CT — sagittal reformat — bone window — 8 vertebrae labeled in this scan
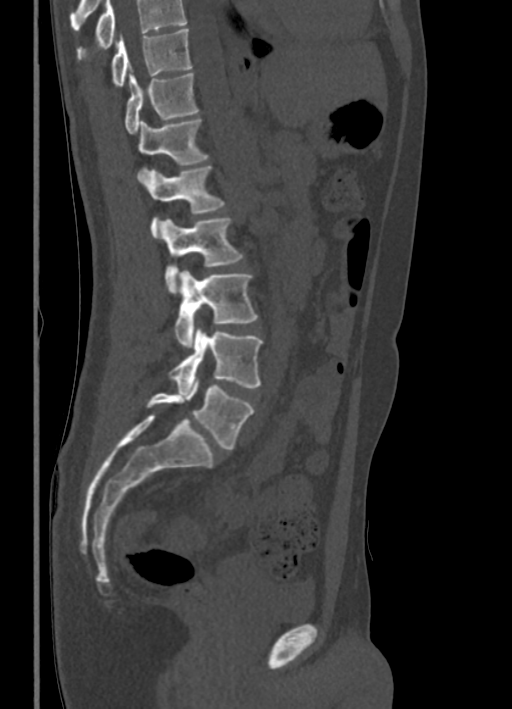 A vertebra cut off by the top edge of the scan is not labeled and has no box.
<vertebrae><v name="L5" x1="146" y1="381" x2="253" y2="449"/><v name="L4" x1="169" y1="328" x2="262" y2="394"/><v name="L3" x1="175" y1="270" x2="258" y2="347"/><v name="L2" x1="159" y1="218" x2="243" y2="293"/><v name="L1" x1="146" y1="165" x2="224" y2="238"/><v name="T12" x1="137" y1="117" x2="209" y2="179"/><v name="T11" x1="125" y1="73" x2="198" y2="133"/><v name="T10" x1="111" y1="29" x2="192" y2="87"/></vertebrae>